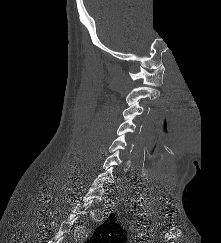 Computed tomography of the spine. sagittal view. image 221 mm wide. 221x243 px. an area of the scan was removed and filled with constant pixels

Coordinates as <box>x1,y1,x2,y2</box>.
Not every vertebra on this slice has a box: a vertebra is boxed only from the first to the last slice where its cross-section is at least a third of its largest, and this slice is outside that range for at least one of them.
C1: <box>128,64,164,85</box>
C2: <box>126,87,159,104</box>
C3: <box>122,101,150,119</box>
C4: <box>117,115,142,135</box>
C5: <box>109,134,134,152</box>
C6: <box>103,150,130,172</box>
C7: <box>92,166,120,186</box>